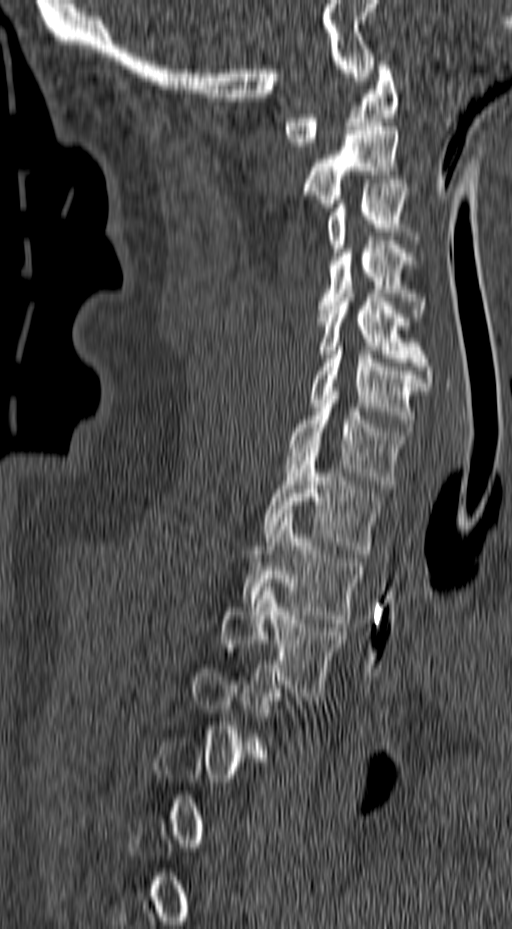

Spine CT — sagittal reformat — bone-window reconstruction — the image is 157 mm wide — 512x929 px

Coordinates as <box>x1,y1,x2,y2</box>.
A vertebra is boxed only from the first to the last slice where its cross-section is at least a third of its largest; slices outside that range leave it without a box.
C1: <box>282,65,398,146</box>
C2: <box>301,122,405,207</box>
C3: <box>327,183,421,252</box>
C4: <box>317,241,425,317</box>
C5: <box>317,289,433,386</box>
C6: <box>310,346,428,431</box>
C7: <box>285,391,411,488</box>
T1: <box>262,448,382,553</box>
T2: <box>242,514,362,627</box>
T3: <box>220,583,346,696</box>